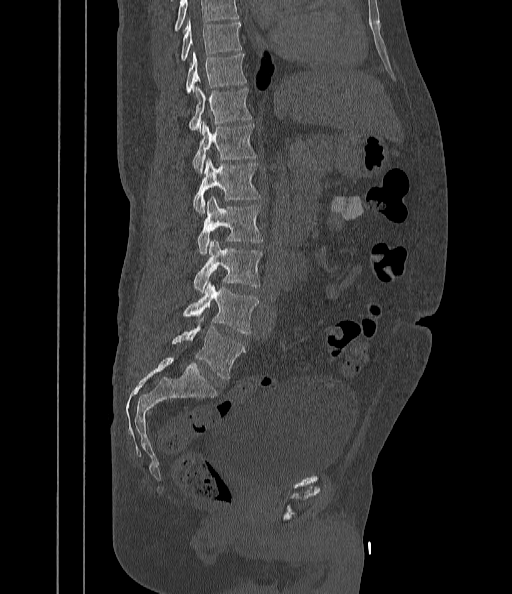

CT; 442 mm wide; sagittal view; bone-window reconstruction

Boxes: x1:y1:x2:y2 in pixels.
Where the top of the scan cuts through a vertebra, that vertebra gets no label or box.
T9: 181:21:241:60
T10: 185:54:246:93
T11: 189:87:251:133
T12: 192:123:256:173
L1: 193:158:260:213
L2: 197:196:263:254
L3: 193:240:262:293
L4: 183:281:258:334
L5: 171:318:244:380